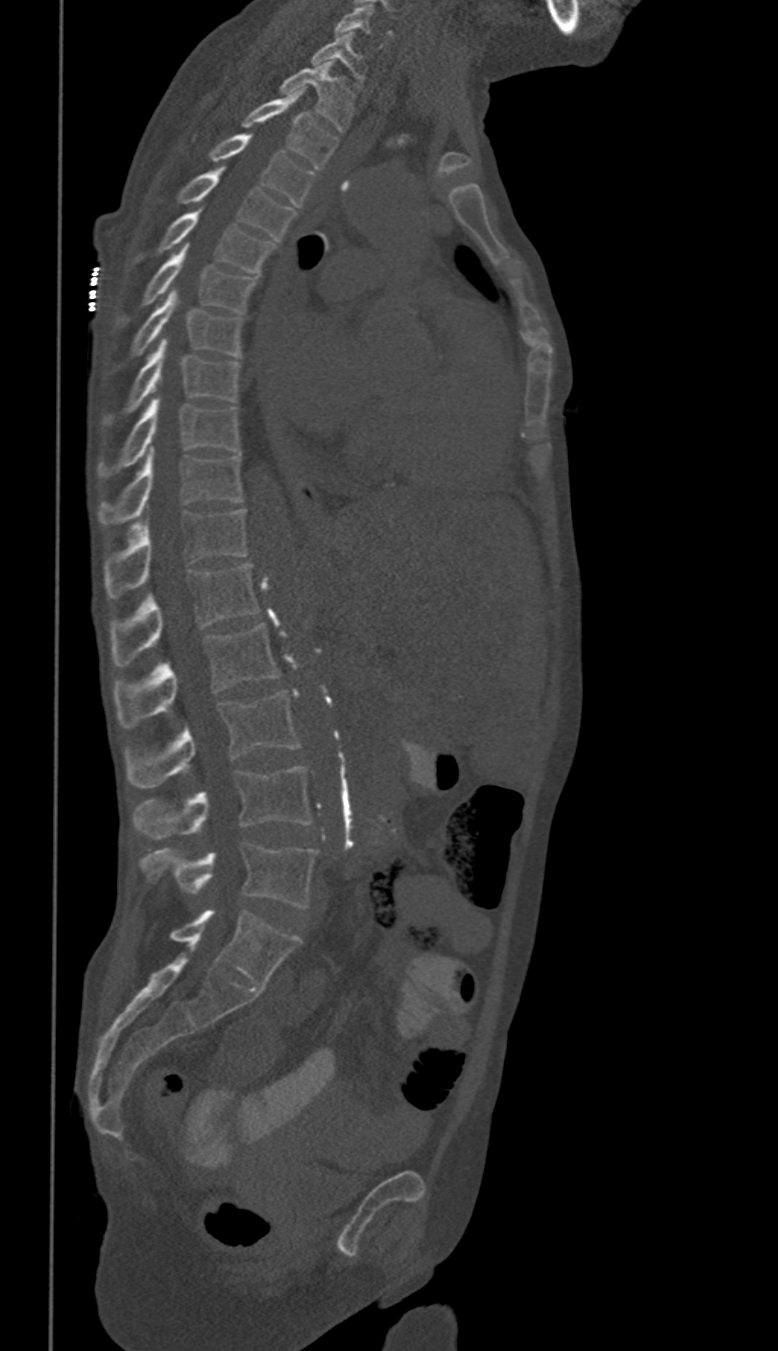
CT spine; sagittal view; 778x1351 px
Box edges are left/top/right/bottom in pixels.
In these labels the thoracic vertebrae end at T11, so L1 follows T11.
| vertebra | x1 | y1 | x2 | y2 |
|---|---|---|---|---|
| C6 | 336 | 5 | 392 | 48 |
| C7 | 311 | 31 | 365 | 88 |
| T1 | 280 | 63 | 354 | 131 |
| T2 | 242 | 92 | 336 | 168 |
| T3 | 179 | 134 | 313 | 206 |
| T4 | 175 | 167 | 294 | 242 |
| T5 | 134 | 212 | 274 | 273 |
| T6 | 115 | 245 | 256 | 328 |
| T7 | 112 | 289 | 244 | 368 |
| T8 | 105 | 338 | 241 | 426 |
| T9 | 97 | 396 | 241 | 477 |
| T10 | 100 | 449 | 244 | 524 |
| T11 | 105 | 509 | 248 | 597 |
| L1 | 111 | 563 | 259 | 666 |
| L2 | 112 | 623 | 279 | 728 |
| L3 | 125 | 692 | 298 | 788 |
| L4 | 134 | 767 | 312 | 839 |
| L5 | 140 | 843 | 316 | 908 |